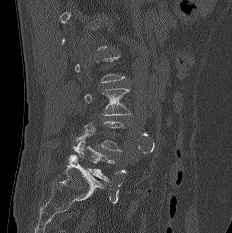

Spine CT · sagittal view

Each box is [x1, y1, x2, y2] in pixels: top-left corner, then bottom-right corner.
A vertebra is boxed only from the first to the last slice where its cross-section is at least a third of its largest; slices outside that range leave it without a box.
{"vertebrae":{"L5":[71,132,114,181],"L3":[84,88,131,115]}}